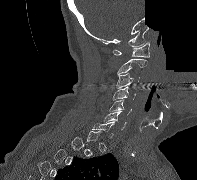

CT · sagittal view · image width 197 mm · bone-window reconstruction · 197x180 px · a region is blanked to uniform black, ending in a straight edge
Box edges are left/top/right/bottom in pixels.
Not every vertebra on this slice has a box: a vertebra is boxed only from the first to the last slice where its cross-section is at least a third of its largest, and this slice is outside that range for at least one of them.
Vertebra bounding boxes:
- C1: left=112, top=42, right=149, bottom=57
- C2: left=117, top=59, right=147, bottom=76
- C3: left=116, top=73, right=140, bottom=88
- C4: left=113, top=86, right=135, bottom=99
- C5: left=109, top=99, right=131, bottom=115
- C6: left=103, top=111, right=126, bottom=130
- C7: left=92, top=121, right=114, bottom=138